CT spine. sagittal view. Bone window (WL 400, WW 1800). 512x1010 px. image width 140 mm
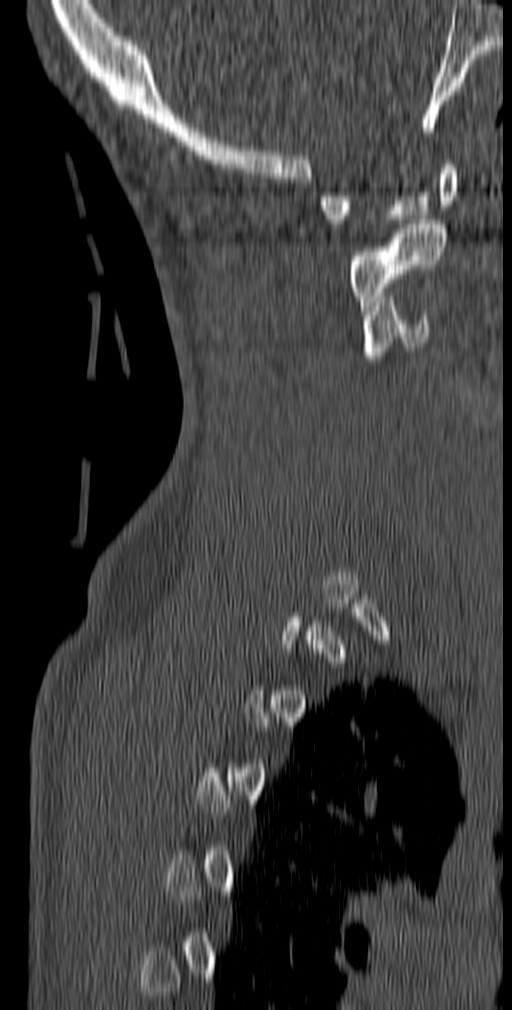 Box edges are left/top/right/bottom in pixels.
A vertebra gets a box only on the slices from the first to the last where its cross-section is at least a third of its largest; on a slice outside that range it gets none.
C1: left=319, top=160, right=457, bottom=228
C2: left=349, top=219, right=446, bottom=310
C3: left=362, top=297, right=430, bottom=360